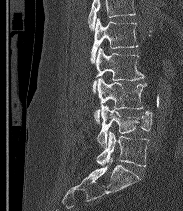 Computed tomography of the spine — sagittal reformat — 183 mm image width — W/L 1800/400 HU

Boxes: x1 y1 x2 y2 (pixel coords, space-separated).
No box is given to a vertebra that the top edge of the scan cuts off.
In these labels the spine has an L6, a sixth lumbar vertebra below L5.
L6: 96 131 148 166
L5: 97 105 152 147
L4: 94 77 146 123
L3: 92 47 144 93
L2: 90 18 138 63